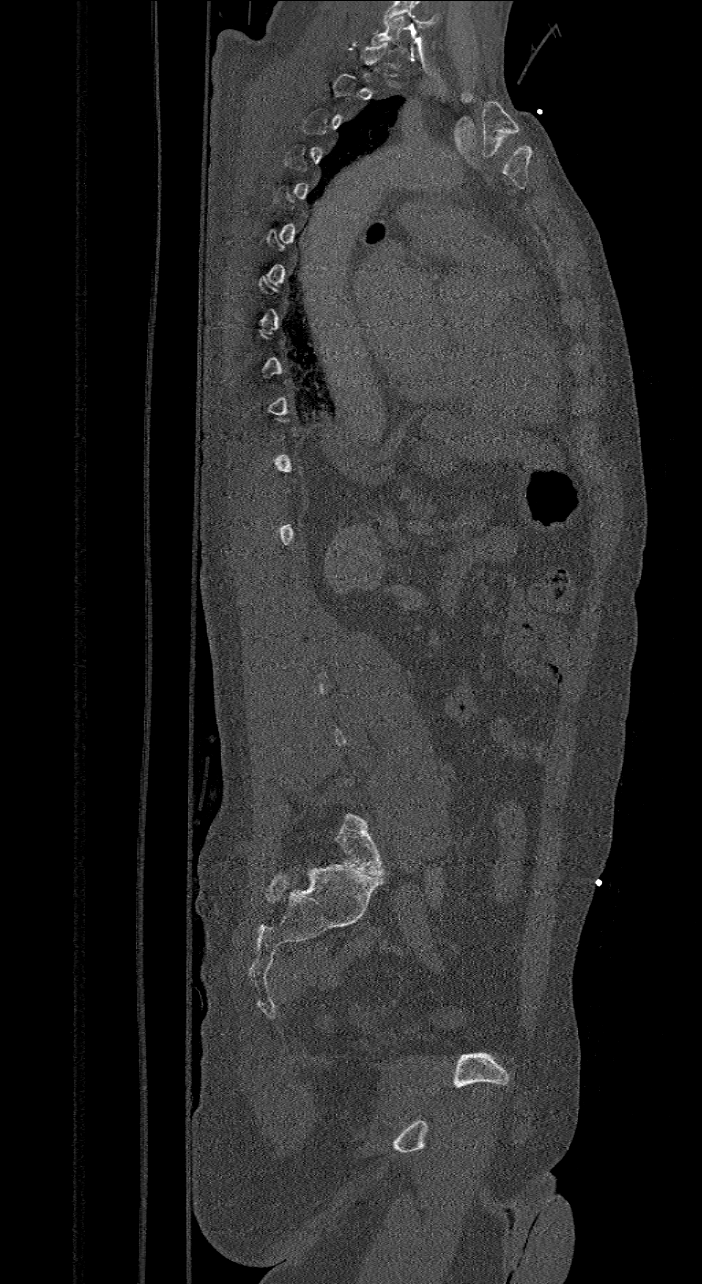 CT; sagittal view; Bone window (WL 400, WW 1800); 702x1284 px; image width 421 mm
Box edges are left/top/right/bottom in pixels. Each vertebra is boxed only on the slices from the first to the last where its cross-section reaches a third of its largest, so a slice outside that range leaves it unboxed. These labels give the spine a sixth lumbar vertebra, L6, below L5. 2 vertebrae labeled — L6 at left=334, top=813, right=385, bottom=876; C7 at left=369, top=16, right=406, bottom=53.